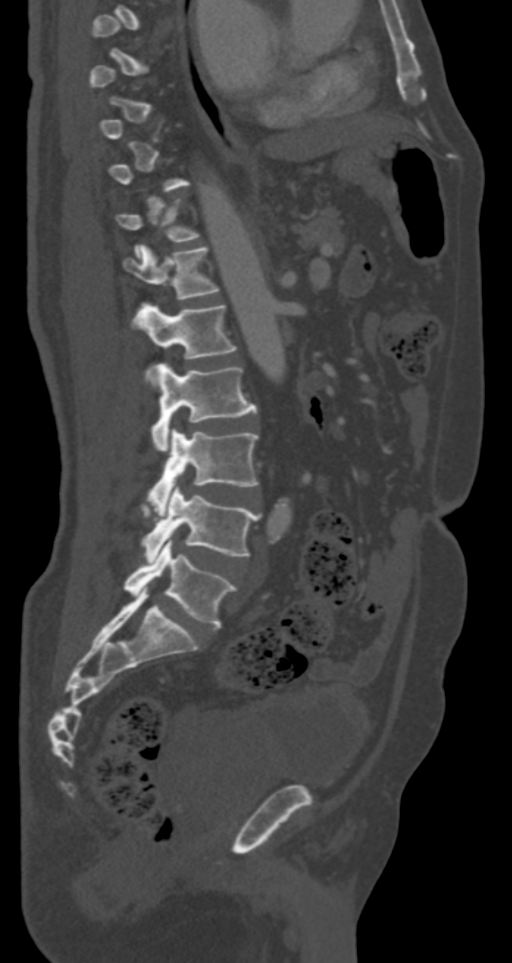 CT, spine — the image is 287 mm wide — sagittal view
Boxes are (x1, y1, x2, y2) in pixels. Each vertebra is boxed only on the slices from the first to the last where its cross-section reaches a third of its largest, so a slice outside that range leaves it unboxed. The labeled vertebrae in this slice are: L5 at (124, 538, 236, 628), L4 at (142, 487, 259, 561), L3 at (148, 430, 259, 511), L2 at (151, 363, 257, 450), L1 at (132, 301, 236, 377), T12 at (123, 244, 220, 299).